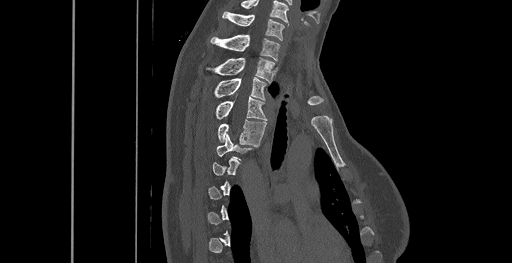 CT, spine · sagittal view
Each vertebra maps to its box as [x1, y1, x2, y2], the pixel coordinates of its top-left and bottom-right corners.
A vertebra gets a box only on the slices from the first to the last where its cross-section is at least a third of its largest; on a slice outside that range it gets none.
This scan's labels start at C6 at the top and end at T8 at the bottom.
{"vertebrae":{"C6":[223,12,284,40],"C7":[211,35,280,60],"T1":[205,57,274,81],"T2":[213,76,265,100],"T3":[215,96,266,120],"T4":[217,120,266,144]}}